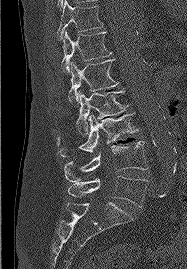
Computed tomography of the spine · 187 mm image width · sagittal view · Bone window (WL 400, WW 1800)
Boxes are (x1, y1, x2, y2) in pixels. Vertebrae labeled: T11 at (57, 0, 103, 40), T12 at (61, 31, 111, 72), L1 at (68, 59, 119, 102), L2 at (76, 88, 127, 136), L3 at (57, 112, 138, 157), L4 at (64, 141, 147, 181), L5 at (68, 176, 147, 207).